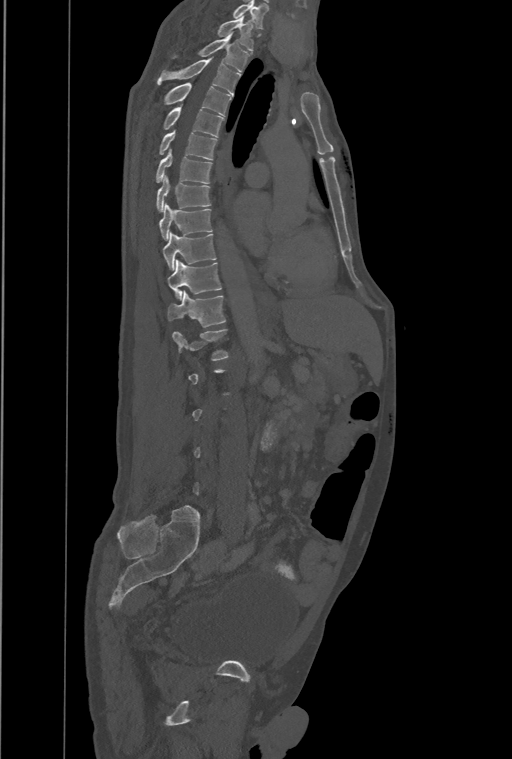 Computed tomography of the spine — sagittal view — bone-window reconstruction

In the table, x1 and y1 are a box's top-left corner and x2 and y2 its bottom-right corner, in pixels.
Each vertebra is boxed only on the slices from the first to the last where its cross-section reaches a third of its largest, so a slice outside that range leaves it unboxed.
The highest labeled vertebra in this scan is T1; the lowest is L4.
The labels name an extra thoracic vertebra here, T13, which comes after T12 and before L1.
| vertebra | x1 | y1 | x2 | y2 |
|---|---|---|---|---|
| T13 | 172 | 329 | 228 | 360 |
| T12 | 168 | 290 | 226 | 326 |
| T11 | 167 | 260 | 222 | 299 |
| T10 | 163 | 234 | 216 | 270 |
| T9 | 160 | 204 | 212 | 240 |
| T8 | 156 | 176 | 211 | 211 |
| T7 | 155 | 150 | 212 | 183 |
| T6 | 158 | 131 | 216 | 159 |
| T5 | 163 | 107 | 223 | 137 |
| T4 | 162 | 82 | 231 | 115 |
| T3 | 157 | 58 | 239 | 94 |
| T2 | 201 | 34 | 247 | 71 |
| T1 | 218 | 16 | 253 | 50 |